Computed tomography of the spine; sagittal view; 512x933 px; the image is 140 mm wide; 10 vertebrae labeled in this scan; some of the image was removed or blocked out with constant pixels
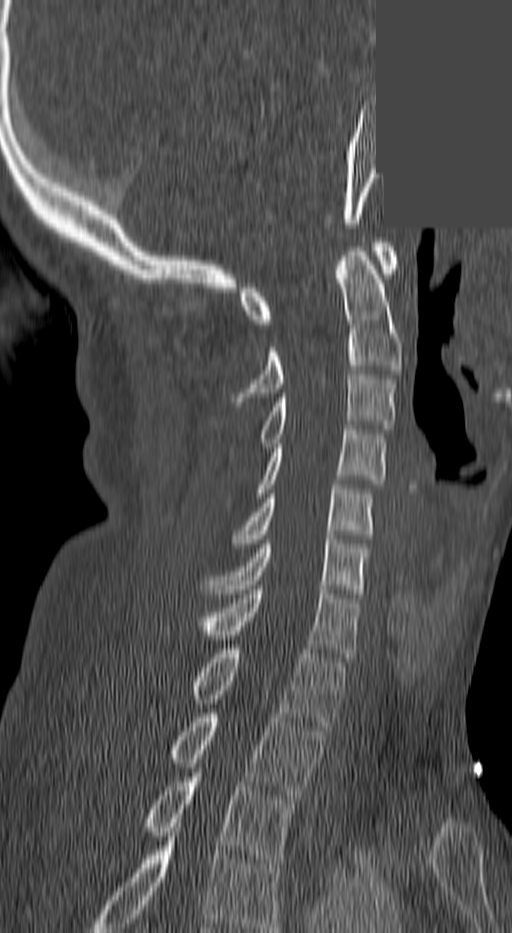
Each vertebra maps to its box as [x1, y1, x2, y2], the pixel coordinates of its top-left and bottom-right corners.
This scan's labels start at C1 at the top and end at T3 at the bottom.
{"vertebrae":{"C1":[239,242,399,324],"C2":[234,247,403,406],"C3":[261,375,395,447],"C4":[257,430,384,497],"C5":[232,485,373,548],"C6":[202,539,366,593],"C7":[192,590,359,657],"T1":[188,649,344,730],"T2":[170,713,323,799],"T3":[144,777,293,863]}}